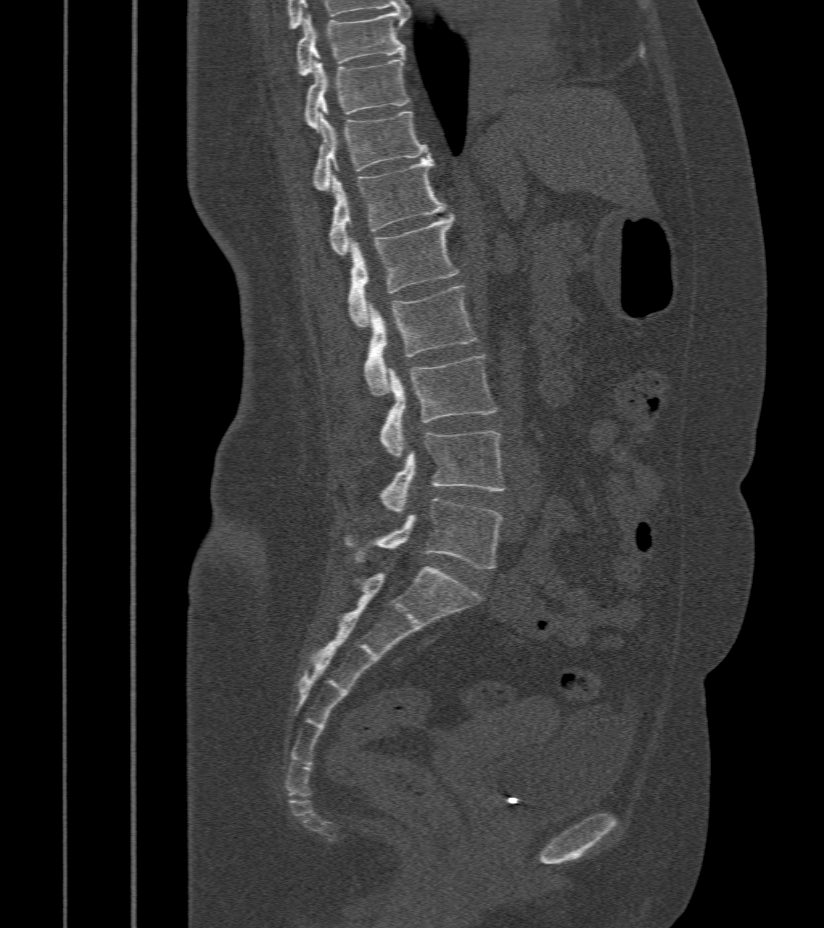
Spine CT. sagittal reformat. W/L 1800/400 HU. 824x928 px. 412 mm wide

Box values are [left, top, right, bottom] in pixels.
{"vertebrae":{"L5":[346,497,503,568],"L4":[381,431,504,514],"L3":[380,355,496,458],"L2":[364,285,477,396],"L1":[348,213,459,328],"T12":[330,159,446,256],"T11":[314,107,429,190],"T10":[304,57,409,130],"T9":[296,11,409,76]}}